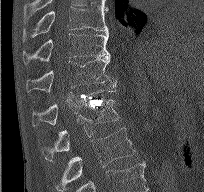

CT, spine. sagittal view

Each vertebra maps to its box as [x1, y1, x2, y2], the pixel coordinates of its top-left and bottom-right corners.
{"vertebrae":{"T9":[23,6,109,37],"T10":[23,33,109,64],"T11":[26,55,118,92],"T12":[32,88,115,126],"L1":[42,99,119,158],"L2":[55,127,135,189]}}